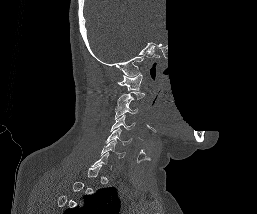
Spine CT. sagittal view. 257x214 px. a portion of the image is blanked out (constant pixel value). Boxes are (x1, y1, x2, y2) in pixels.
A vertebra is boxed only from the first to the last slice where its cross-section is at least a third of its largest; slices outside that range leave it without a box.
Vertebra bounding boxes:
- C1: (117, 73, 142, 90)
- C2: (117, 91, 144, 108)
- C3: (115, 101, 137, 119)
- C4: (111, 115, 134, 131)
- C5: (105, 128, 132, 145)
- C6: (101, 140, 125, 158)